CT, spine · sagittal view · bone-window reconstruction · 197x180 px · 9 vertebrae labeled in this scan · a region is blanked to uniform black, ending in a straight edge
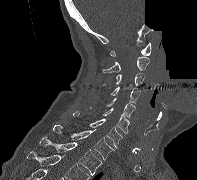

Each box is [x1, y1, x2, y2] in pixels: top-left corner, then bottom-right corner.
{"vertebrae":{"T2":[39,137,102,174],"T1":[53,125,114,160],"C7":[72,111,122,148],"C6":[90,106,129,133],"C5":[106,98,135,118],"C4":[110,87,140,104],"C3":[97,73,145,91],"C2":[102,57,149,72],"C1":[110,42,150,56]}}